CT, spine. sagittal plane, index 270. W/L 1800/400 HU. 11 vertebrae labeled in this scan. 180 mm image width
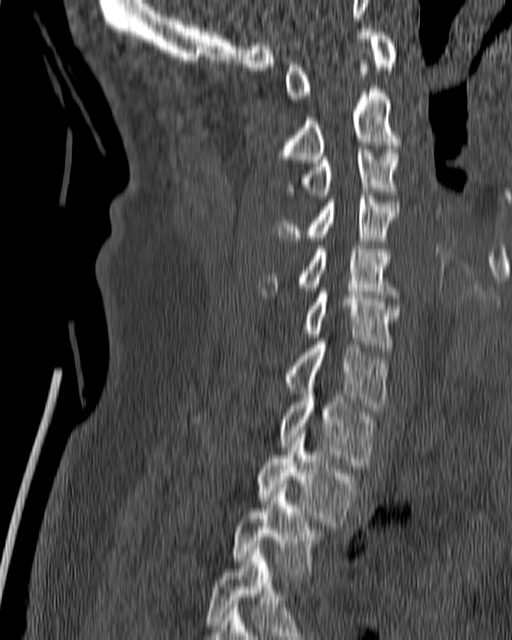

Each box given as x1,y1,x2,y2.
Vertebra bounding boxes:
- T4: x1=206, y1=544, x2=310, y2=639
- T3: x1=231, y1=484, x2=324, y2=575
- T2: x1=257, y1=430, x2=355, y2=525
- T1: x1=191, y1=391, x2=375, y2=465
- C7: x1=283, y1=341, x2=390, y2=411
- C6: x1=300, y1=288, x2=401, y2=347
- C5: x1=258, y1=245, x2=398, y2=298
- C4: x1=274, y1=192, x2=399, y2=244
- C3: x1=285, y1=146, x2=398, y2=198
- C2: x1=277, y1=60, x2=401, y2=163
- C1: x1=285, y1=25, x2=397, y2=102